Spine computed tomography — Sagittal slice 276/512 — the image spans 473 mm across — W/L 1800/400 HU — 526x900 px — a portion of the image is blanked out (constant pixel value)
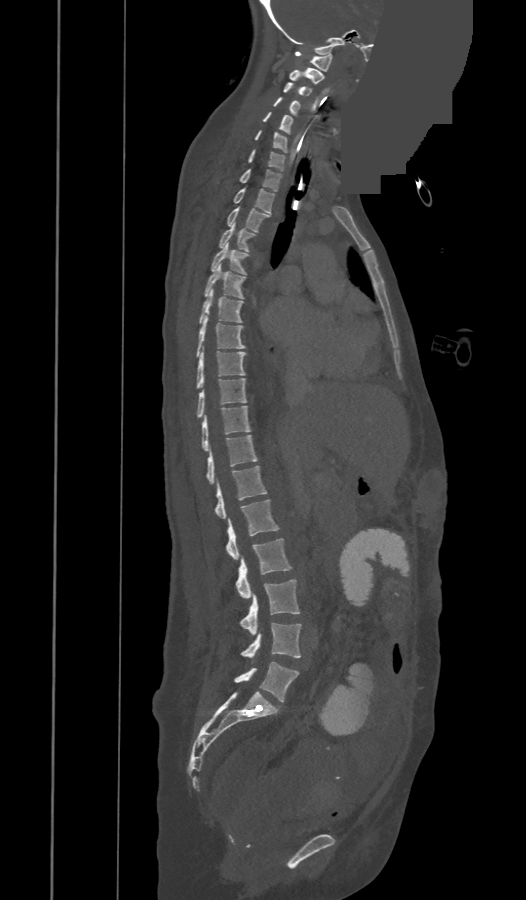

These labels give the spine a thirteenth thoracic vertebra: T13 sits between T12 and L1.
<vertebrae><v name="C1" x1="295" y1="51" x2="332" y2="71"/><v name="C2" x1="288" y1="68" x2="323" y2="84"/><v name="C3" x1="283" y1="82" x2="311" y2="95"/><v name="C4" x1="273" y1="97" x2="300" y2="115"/><v name="C5" x1="263" y1="112" x2="293" y2="134"/><v name="C6" x1="255" y1="130" x2="286" y2="152"/><v name="C7" x1="247" y1="149" x2="284" y2="170"/><v name="T1" x1="240" y1="169" x2="281" y2="191"/><v name="T2" x1="233" y1="188" x2="274" y2="214"/><v name="T3" x1="227" y1="207" x2="270" y2="231"/><v name="T4" x1="219" y1="223" x2="255" y2="251"/><v name="T5" x1="211" y1="243" x2="247" y2="274"/><v name="T6" x1="204" y1="265" x2="245" y2="298"/><v name="T7" x1="199" y1="289" x2="242" y2="323"/><v name="T8" x1="196" y1="315" x2="244" y2="356"/><v name="T9" x1="196" y1="349" x2="244" y2="388"/><v name="T10" x1="197" y1="378" x2="246" y2="417"/><v name="T11" x1="202" y1="406" x2="250" y2="450"/><v name="T12" x1="206" y1="435" x2="257" y2="484"/><v name="T13" x1="216" y1="466" x2="267" y2="518"/><v name="L1" x1="226" y1="499" x2="279" y2="559"/><v name="L2" x1="235" y1="538" x2="292" y2="598"/><v name="L3" x1="240" y1="579" x2="299" y2="635"/><v name="L4" x1="241" y1="622" x2="301" y2="658"/><v name="L5" x1="234" y1="662" x2="298" y2="701"/></vertebrae>